CT · Sagittal slice 222/512 · Bone window (WL 400, WW 1800) · 512x477 px
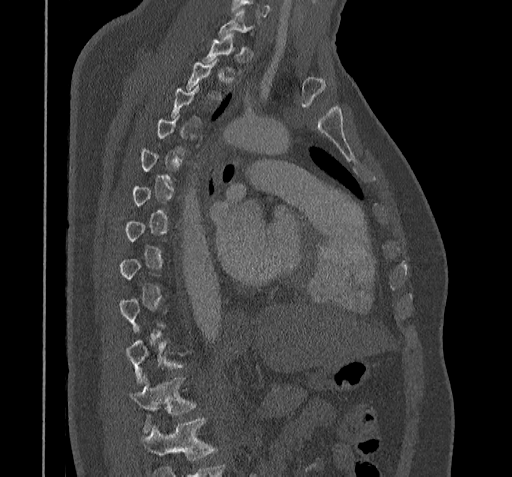 Boxes: x1:y1:x2:y2 in pixels.
A vertebra gets a box only on the slices from the first to the last where its cross-section is at least a third of its largest; on a slice outside that range it gets none.
A vertebra cut off by the bottom edge of the scan is not labeled and has no box.
T11: 132:374:196:433
T10: 127:338:188:384
C7: 218:9:253:36